CT spine — sagittal plane, index 91 — Bone window (WL 400, WW 1800) — 183x211 px — 5 vertebrae labeled in this scan
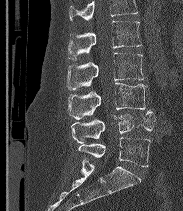 Coordinates as <box>x1,y1,x2,y2</box>.
Where the top of the scan cuts through a vertebra, that vertebra gets no label or box.
The labels name a sixth lumbar vertebra for this spine: L6, after L5.
Vertebra bounding boxes:
- L2: <box>68,21,142,59</box>
- L3: <box>67,53,144,90</box>
- L4: <box>68,83,147,119</box>
- L5: <box>71,110,155,143</box>
- L6: <box>78,137,150,166</box>